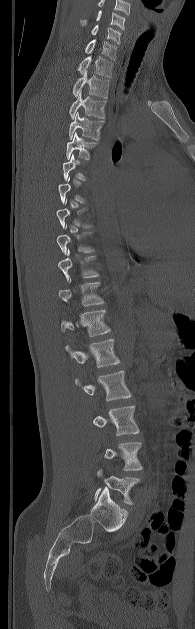

CT — sagittal view — 195 mm across the image
Coordinates as <box>x1,y1,x2,y2</box>.
A vertebra gets a box only on the slices from the first to the last where its cross-section is at least a third of its largest; on a slice outside that range it gets none.
Labels in this scan begin with C5 at the top and end with L5 at the bottom.
Vertebra bounding boxes:
- C5: <box>81,10,125,29</box>
- C6: <box>91,25,120,43</box>
- C7: <box>85,39,116,60</box>
- T1: <box>77,55,112,77</box>
- T2: <box>72,70,108,98</box>
- T3: <box>69,91,105,118</box>
- T4: <box>68,112,103,140</box>
- T5: <box>66,132,96,159</box>
- T6: <box>62,154,85,180</box>
- T9: <box>56,224,94,254</box>
- T10: <box>58,249,98,281</box>
- T11: <box>59,279,104,305</box>
- T12: <box>61,310,110,336</box>
- L1: <box>65,339,120,367</box>
- L2: <box>75,371,131,401</box>
- L3: <box>93,405,139,435</box>
- L4: <box>104,442,142,470</box>
- L5: <box>95,469,140,504</box>